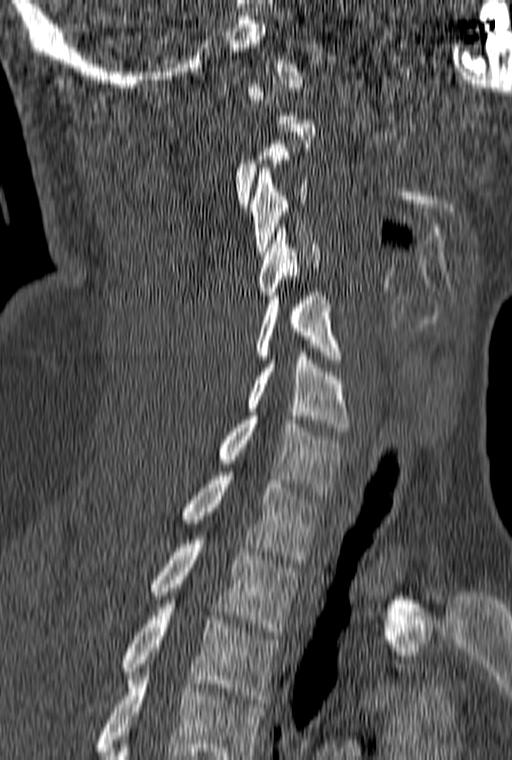 CT, spine. sagittal view
A vertebra gets a box only on the slices from the first to the last where its cross-section is at least a third of its largest; on a slice outside that range it gets none.
This scan's labels start at C1 at the top and end at T3 at the bottom.
<vertebrae><v name="C3" x1="249" y1="168" x2="310" y2="255"/><v name="C4" x1="258" y1="228" x2="320" y2="299"/><v name="C5" x1="255" y1="292" x2="343" y2="363"/><v name="C6" x1="247" y1="352" x2="349" y2="431"/><v name="C7" x1="219" y1="416" x2="346" y2="495"/><v name="T1" x1="180" y1="472" x2="324" y2="563"/><v name="T2" x1="148" y1="540" x2="298" y2="635"/><v name="T3" x1="120" y1="604" x2="279" y2="703"/></vertebrae>